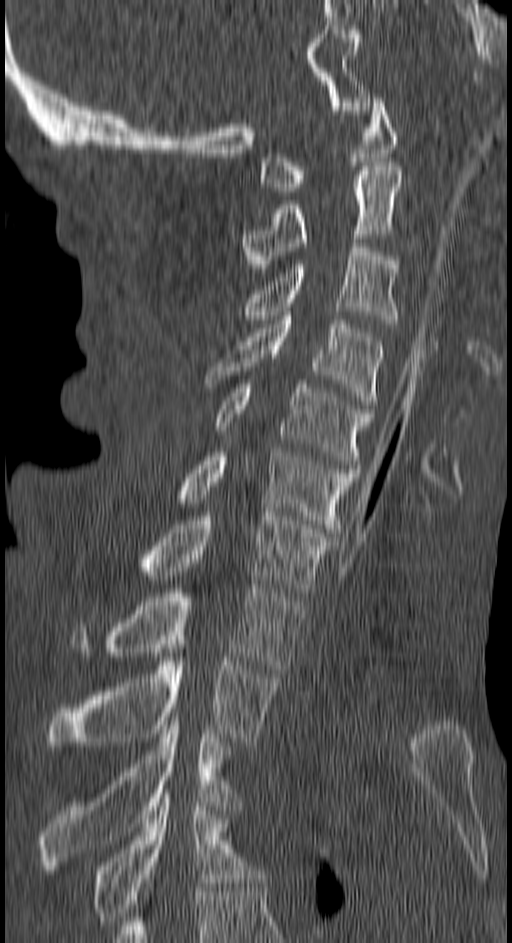

Spine computed tomography · sagittal view · bone window
Coordinates as <box>x1,y1,x2,y2</box>.
T4: <box>90,794,256,925</box>
T3: <box>39,721,236,869</box>
T2: <box>46,649,278,746</box>
T1: <box>69,585,304,673</box>
C7: <box>131,512,335,592</box>
C6: <box>172,452,359,537</box>
C5: <box>213,380,373,468</box>
C4: <box>206,316,383,404</box>
C3: <box>240,243,400,323</box>
C2: <box>243,166,403,268</box>
C1: <box>261,98,396,191</box>